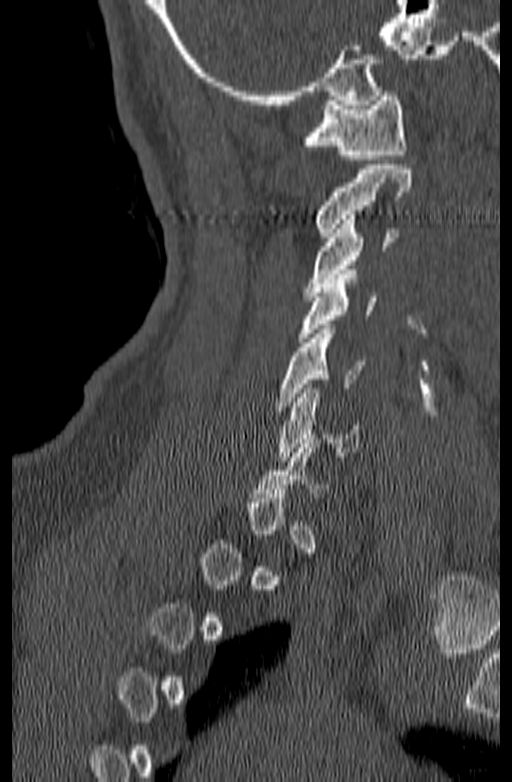 Spine CT. sagittal view

Boxes are (x1, y1, x2, y2) in pixels.
A vertebra gets a box only on the slices from the first to the last where its cross-section is at least a third of its largest; on a slice outside that range it gets none.
Vertebra bounding boxes:
- C1: (302, 91, 406, 159)
- C2: (315, 165, 411, 237)
- C3: (305, 215, 396, 296)
- C4: (298, 270, 376, 342)
- C5: (276, 325, 366, 406)
- C6: (277, 384, 359, 461)